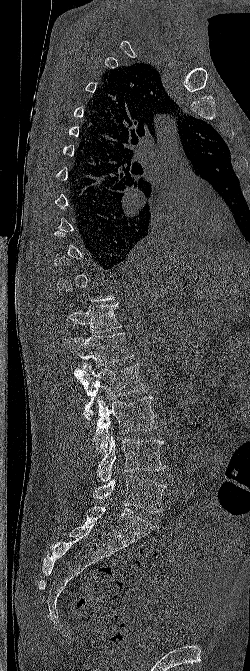 CT, spine; sagittal reformat; 250x671 px
Boxes: x1:y1:x2:y2 in pixels.
Not every vertebra on this slice has a box: a vertebra is boxed only from the first to the last slice where its cross-section is at least a third of its largest, and this slice is outside that range for at least one of them.
L5: 93:475:166:512
L4: 96:436:165:482
L3: 93:397:156:452
L2: 74:363:145:419
L1: 63:332:133:367
T12: 66:303:121:333